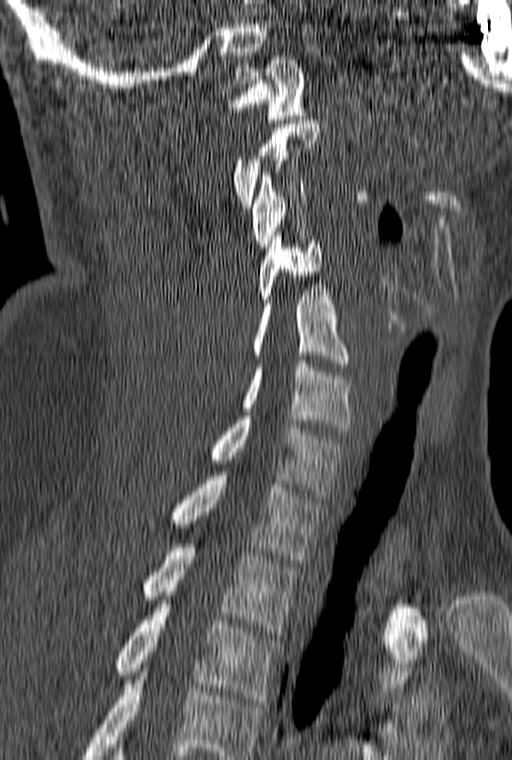

Computed tomography of the spine; sagittal view; bone window; 512x760 px
A vertebra gets a box only on the slices from the first to the last where its cross-section is at least a third of its largest; on a slice outside that range it gets none.
The highest labeled vertebra in this scan is C1; the lowest is T3.
<vertebrae><v name="C1" x1="226" y1="56" x2="305" y2="123"/><v name="C3" x1="252" y1="172" x2="306" y2="251"/><v name="C4" x1="257" y1="232" x2="322" y2="303"/><v name="C5" x1="253" y1="288" x2="349" y2="367"/><v name="C6" x1="241" y1="360" x2="352" y2="431"/><v name="C7" x1="209" y1="416" x2="346" y2="495"/><v name="T1" x1="171" y1="472" x2="326" y2="563"/><v name="T2" x1="142" y1="544" x2="298" y2="635"/><v name="T3" x1="113" y1="604" x2="279" y2="703"/></vertebrae>